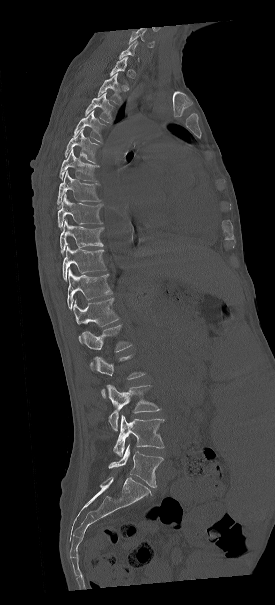 CT; sagittal reformat; 275 mm wide; Bone window (WL 400, WW 1800)

Coordinates as <box>x1,y1,x2,y2</box>. A vertebra gets a box only on the slices from the first to the last where its cross-section is at least a third of its largest; on a slice outside that range it gets none. The labeled vertebrae in this slice are: T2 at <box>98,73,121,103</box>, T3 at <box>85,91,114,123</box>, T4 at <box>73,110,107,142</box>, T5 at <box>64,129,99,163</box>, T6 at <box>60,149,98,181</box>, T7 at <box>57,170,100,204</box>, T8 at <box>57,195,102,229</box>, T9 at <box>60,221,103,253</box>, T10 at <box>62,246,106,281</box>, T11 at <box>67,268,111,310</box>, T12 at <box>73,298,119,326</box>, L1 at <box>79,325,131,351</box>, L2 at <box>90,354,146,397</box>, L3 at <box>106,384,160,430</box>, L4 at <box>113,414,164,456</box>, L5 at <box>108,444,163,487</box>.